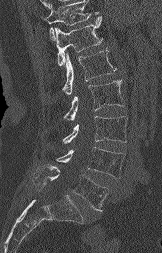

CT, spine · 162 mm image width · sagittal view · 162x253 px
Bounding boxes as [x1, y1, x2, y2] in pixel coordinates. Where the top of the scan cuts through a vertebra, that vertebra gets no label or box. The labeled vertebrae in this slice are: T12 at [55, 16, 102, 66], L1 at [63, 50, 116, 94], L2 at [64, 80, 124, 121], L3 at [63, 116, 127, 143], L4 at [56, 147, 124, 178], L5 at [33, 165, 108, 210].